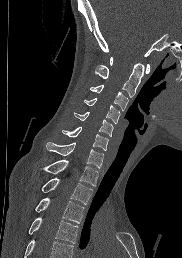
Computed tomography of the spine; sagittal view; bone window
Each vertebra maps to its box as [x1, y1, x2, y2], the pixel coordinates of its top-left and bottom-right corners.
Vertebrae that run past the bottom of the scan are left unlabeled.
{"vertebrae":{"T4":[29,217,78,243],"T3":[34,198,83,223],"T2":[41,177,92,204],"T1":[43,159,98,186],"C7":[46,142,103,168],"C6":[62,127,108,150],"C5":[74,112,113,136],"C4":[84,97,120,123],"C3":[90,85,128,110],"C2":[95,63,143,97],"C1":[109,57,150,73]}}